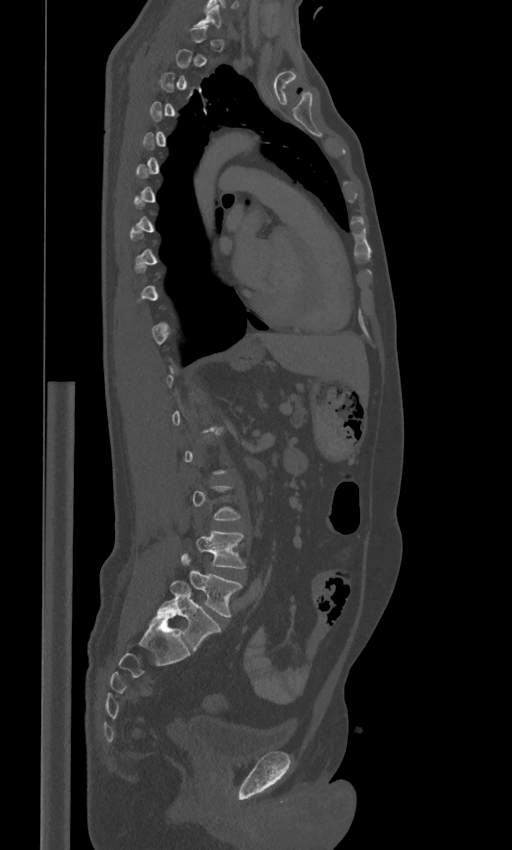 CT. sagittal view
Not every vertebra on this slice has a box: a vertebra is boxed only from the first to the last slice where its cross-section is at least a third of its largest, and this slice is outside that range for at least one of them.
These labels give the spine a sixth lumbar vertebra, L6, below L5.
<vertebrae><v name="L4" x1="195" y1="530" x2="245" y2="568"/><v name="L5" x1="181" y1="552" x2="242" y2="617"/><v name="L6" x1="156" y1="580" x2="221" y2="650"/></vertebrae>